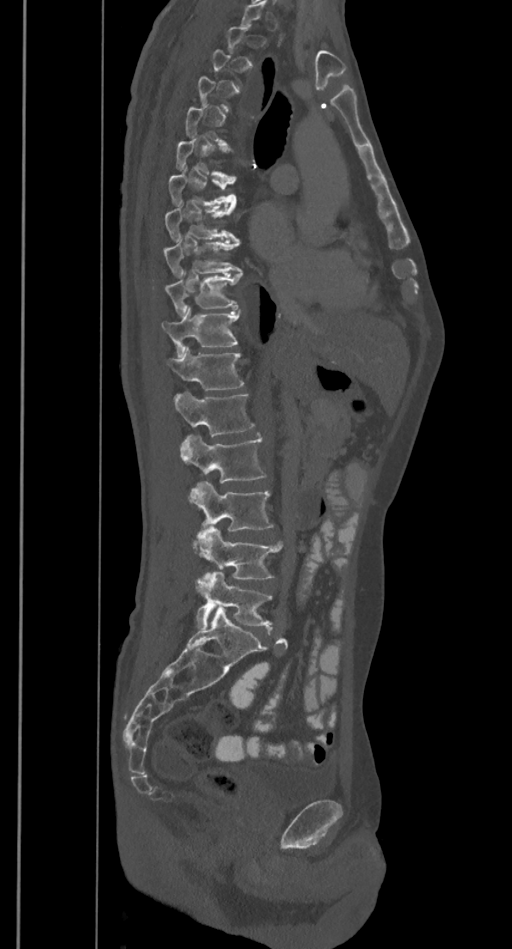
Computed tomography of the spine — sagittal view — bone window — 512x949 px

Boxes below are [x1, y1, x2, y2] in pixels.
Each vertebra is boxed only on the slices from the first to the last where its cross-section reaches a third of its largest, so a slice outside that range leaves it unboxed.
{"vertebrae":{"T7":[169,166,236,206],"T8":[165,206,238,241],"T9":[163,238,241,275],"T10":[165,272,242,315],"T11":[162,306,240,357],"T12":[166,347,244,389],"L1":[174,391,254,436],"L2":[181,434,266,483],"L3":[190,481,273,530],"L4":[193,527,282,578],"L5":[195,571,271,627]}}